CT spine. sagittal reformat. bone-window reconstruction. 154x295 px. 154 mm across the image
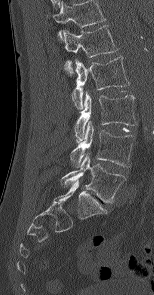 Bounding boxes as [x1, y1, x2, y2] in pixel coordinates. This scan's labels start at L1 at the top and end at L5 at the bottom. Vertebrae labeled: L1 at [63, 25, 118, 73], L2 at [72, 56, 129, 109], L3 at [74, 92, 137, 143], L4 at [70, 121, 134, 167], L5 at [60, 154, 126, 203].